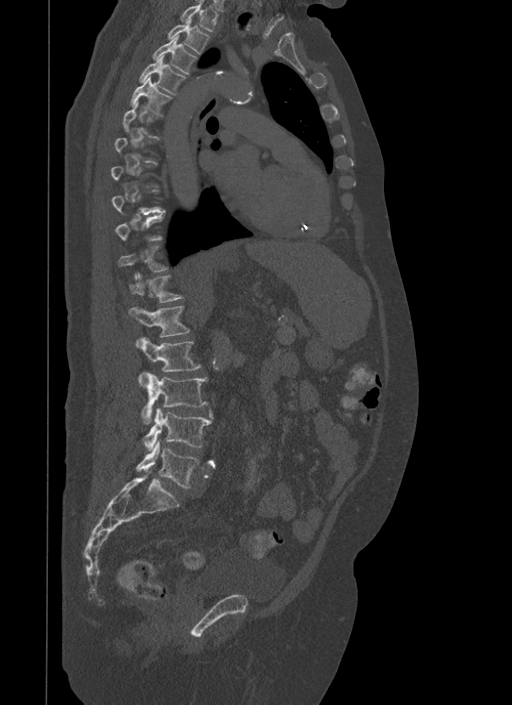
Spine CT — image width 500 mm — sagittal view — bone window — 512x705 px

Each vertebra maps to its box as [x1, y1, x2, y2], the pixel coordinates of its top-left and bottom-right corners.
A vertebra gets a box only on the slices from the first to the last where its cross-section is at least a third of its largest; on a slice outside that range it gets none.
{"vertebrae":{"T1":[179,2,217,32],"T2":[168,18,209,53],"T3":[153,35,197,75],"T4":[140,54,185,94],"T5":[130,76,171,115],"T12":[128,273,182,302],"L1":[127,306,190,346],"L2":[139,337,200,381],"L3":[142,373,207,424],"L4":[144,408,212,451],"L5":[137,440,199,487]}}